Spine CT. sagittal reformat. Bone window (WL 400, WW 1800). 512x642 px
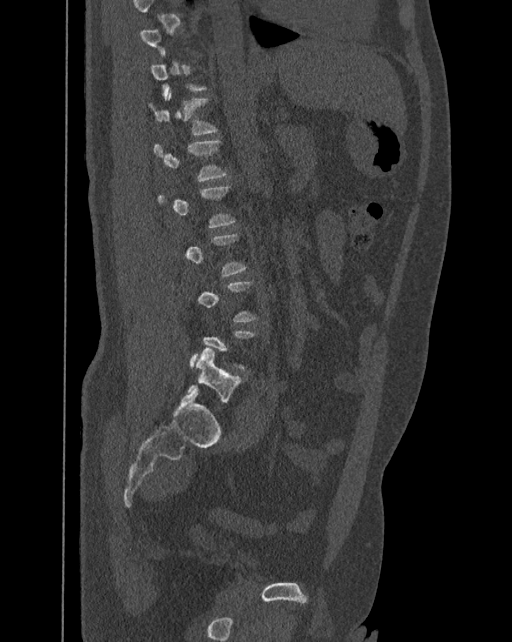
Not every vertebra on this slice has a box: a vertebra is boxed only from the first to the last slice where its cross-section is at least a third of its largest, and this slice is outside that range for at least one of them.
The labels name a sixth lumbar vertebra for this spine: L6, after L5.
<vertebrae><v name="L6" x1="188" y1="348" x2="242" y2="402"/><v name="L1" x1="154" y1="140" x2="226" y2="181"/><v name="T12" x1="150" y1="91" x2="217" y2="134"/></vertebrae>